CT, spine. Sagittal slice 199/512. bone window. 512x929 px. 13 vertebrae labeled in this scan
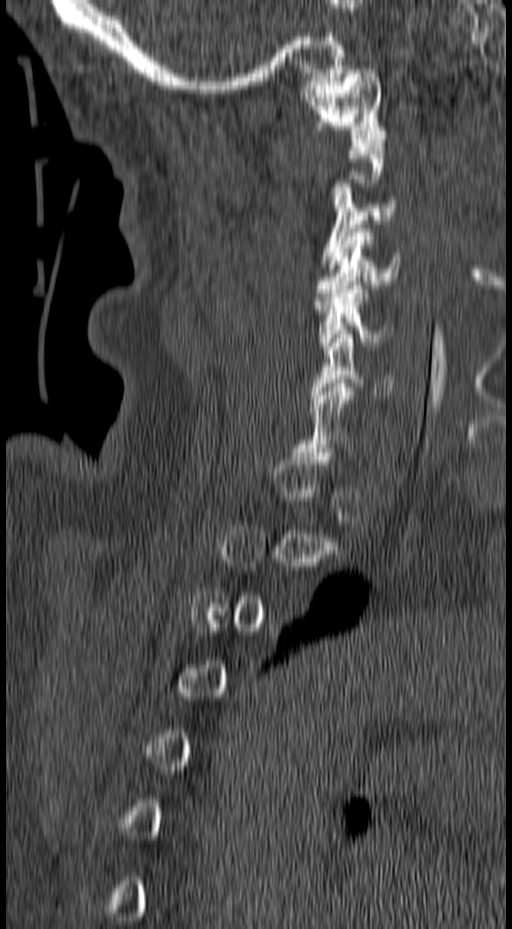

Box values are [left, top, right, bottom] in pixels.
A vertebra gets a box only on the slices from the first to the last where its cross-section is at least a third of its largest; on a slice outside that range it gets none.
{"vertebrae":{"C1":[298,69,387,142],"C3":[320,183,398,264],"C4":[313,228,400,305],"C5":[314,285,395,350],"C6":[310,334,394,398]}}